CT spine · sagittal view · the image spans 160 mm across · bone-window reconstruction · 9 vertebrae labeled in this scan · an area of the scan was removed and filled with constant pixels
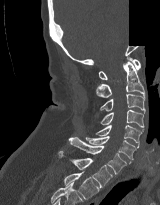 Boxes: x1:y1:x2:y2 in pixels.
Vertebra bounding boxes:
- T2: 64:171:99:199
- T1: 58:151:112:187
- C7: 68:137:130:174
- C6: 86:136:138:160
- C5: 95:125:144:146
- C4: 99:109:144:127
- C3: 100:94:145:114
- C2: 96:61:144:97
- C1: 98:56:140:79